Spine CT; sagittal reformat; bone window; 512x756 px
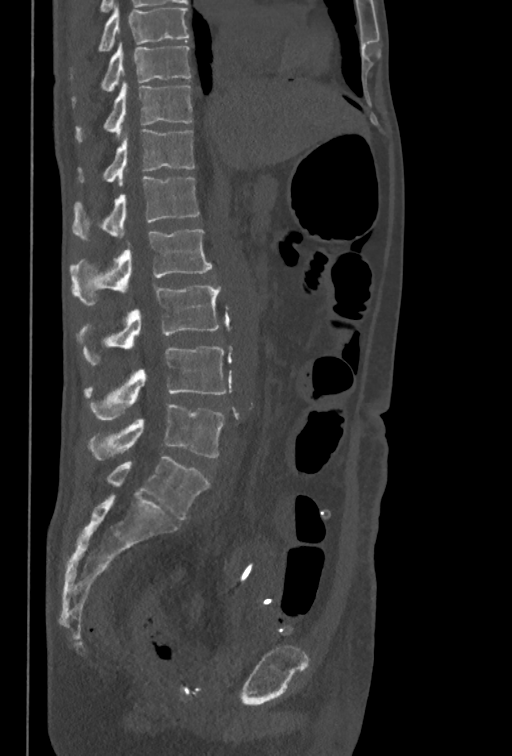 Box values are [left, top, right, bottom] in pixels.
The highest labeled vertebra in this scan is T10; the lowest is L5.
{"vertebrae":{"T10":[102,43,190,91],"T11":[76,82,192,140],"T12":[78,129,195,185],"L1":[72,176,199,239],"L2":[70,229,212,304],"L3":[79,284,220,364],"L4":[85,346,226,420],"L5":[89,404,224,460]}}